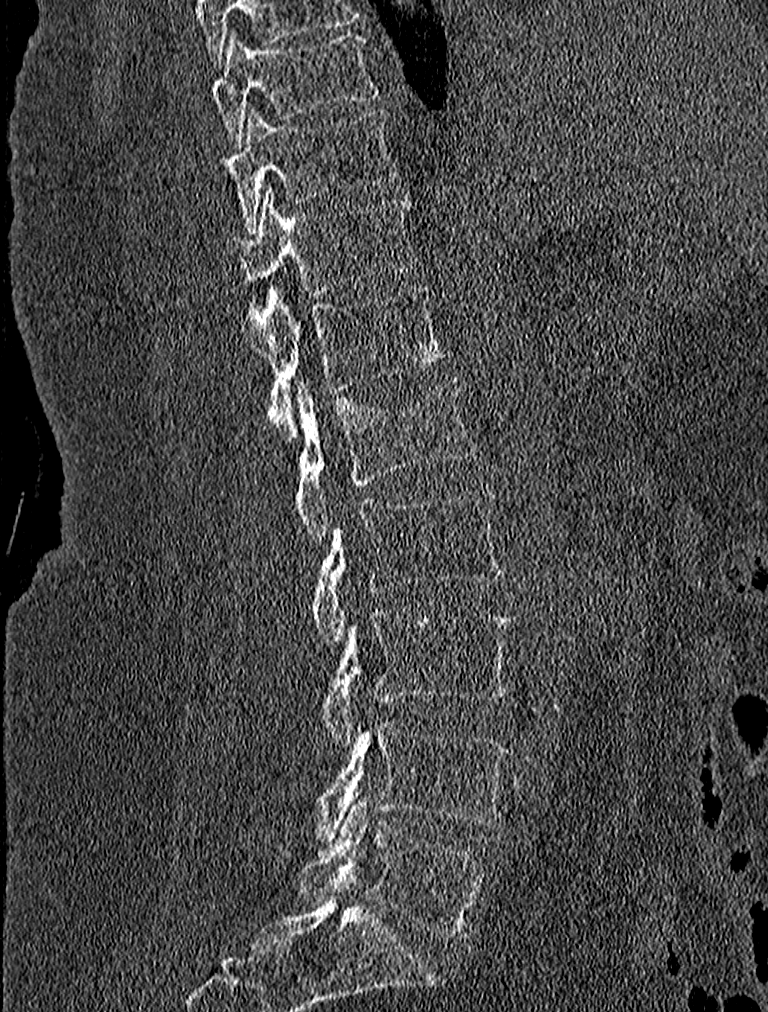
CT spine · sagittal view · bone-window reconstruction
Box edges are left/top/right/bottom in pixels.
| vertebra | x1 | y1 | x2 | y2 |
|---|---|---|---|---|
| T9 | 212 | 30 | 380 | 148 |
| T10 | 229 | 108 | 400 | 232 |
| T11 | 232 | 187 | 414 | 293 |
| T12 | 252 | 285 | 448 | 441 |
| L1 | 297 | 379 | 475 | 544 |
| L2 | 310 | 487 | 505 | 643 |
| L3 | 320 | 611 | 512 | 745 |
| L4 | 304 | 719 | 509 | 839 |
| L5 | 300 | 801 | 488 | 941 |